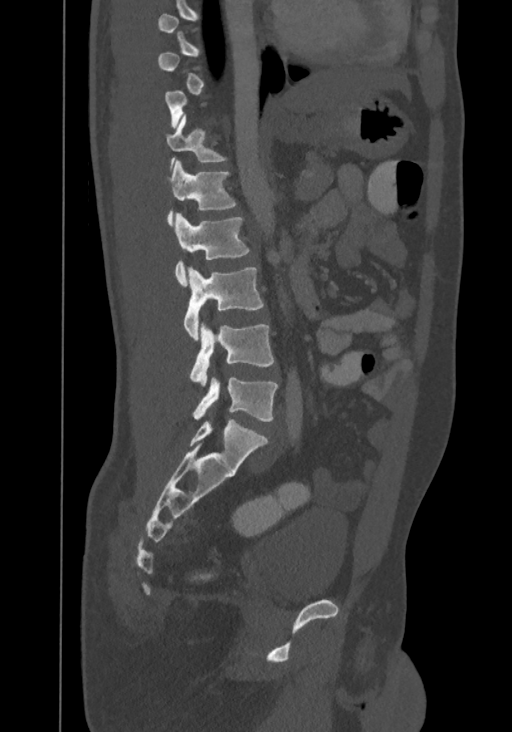 Spine computed tomography · sagittal view · bone-window reconstruction

Box values are [left, top, right, bottom] in pixels.
Each vertebra is boxed only on the slices from the first to the last where its cross-section reaches a third of its largest, so a slice outside that range leaves it unboxed.
This scan's labels start at T8 at the top and end at L4 at the bottom.
{"vertebrae":{"T11":[165,114,228,169],"T12":[166,161,236,225],"L1":[174,213,250,287],"L2":[184,267,264,339],"L3":[190,324,274,386],"L4":[192,378,278,421]}}